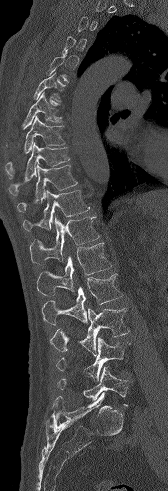

Spine CT — 168 mm image width — sagittal view — W/L 1800/400 HU
Coordinates as <box>x1,y1,x2,y2</box>. Each vertebra is boxed only on the slices from the first to the last where its cross-section reaches a third of its largest, so a slice outside that range leaves it unboxed. Vertebrae labeled: T6 at <box>33,71,61,101</box>, T7 at <box>22,91,64,129</box>, T8 at <box>5,116,65,178</box>, T9 at <box>9,142,70,196</box>, T10 at <box>17,164,77,212</box>, T11 at <box>22,190,90,231</box>, T12 at <box>29,216,99,264</box>, L1 at <box>37,242,111,295</box>, L2 at <box>41,273,123,325</box>, L3 at <box>50,308,129,355</box>, L4 at <box>56,337,130,381</box>, L5 at <box>58,366,129,406</box>.